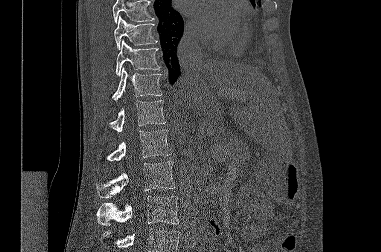
Spine computed tomography; sagittal view; Bone window (WL 400, WW 1800)

Each box given as x1,y1,x2,y2.
Where the top or bottom of the scan cuts through a vertebra, that vertebra gets no label or box.
L3: x1=97, y1=196, x2=179, y2=226
L2: x1=96, y1=161, x2=175, y2=198
L1: x1=106, y1=130, x2=171, y2=161
T12: x1=110, y1=100, x2=166, y2=131
T11: x1=112, y1=67, x2=162, y2=101
T10: x1=115, y1=40, x2=160, y2=76
T9: x1=114, y1=16, x2=157, y2=49